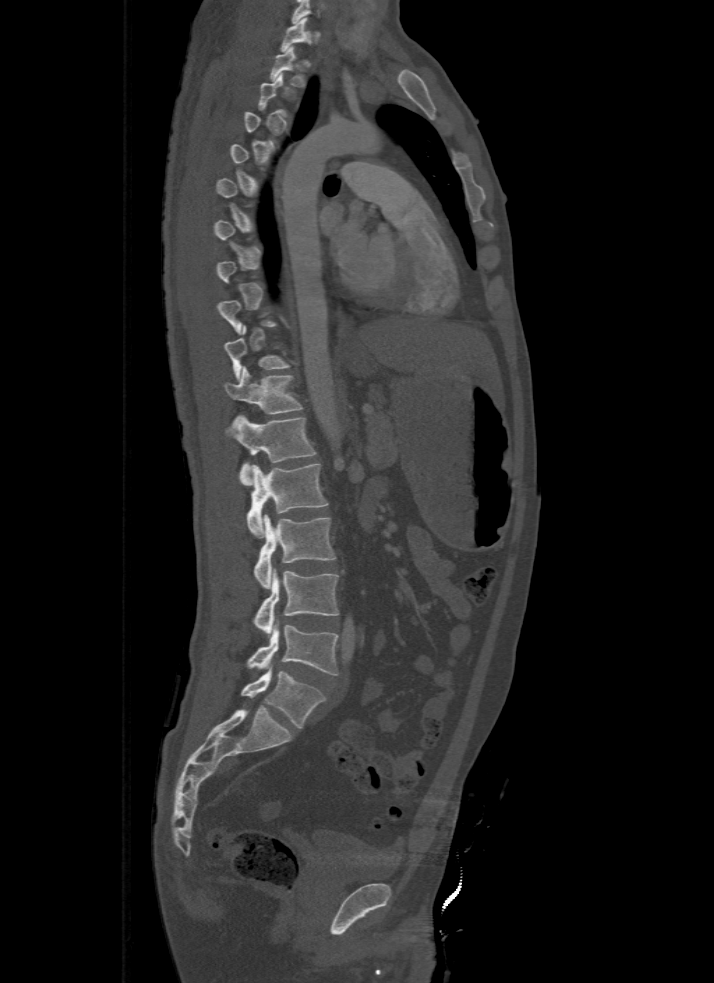 Spine CT. sagittal view

Boxes: x1 y1 x2 y2 (pixel coords, space-separated).
A vertebra gets a box only on the slices from the first to the last where its cross-section is at least a third of its largest; on a slice outside that range it gets none.
This scan's labels start at T1 at the top and end at L5 at the bottom.
T1: 280 17 310 52
T2: 271 46 306 87
T3: 257 73 288 115
T10: 225 326 292 381
T11: 225 366 303 414
T12: 226 415 316 485
L1: 247 463 328 537
L2: 253 515 337 588
L3: 253 569 339 634
L4: 246 623 339 675
L5: 241 670 325 728